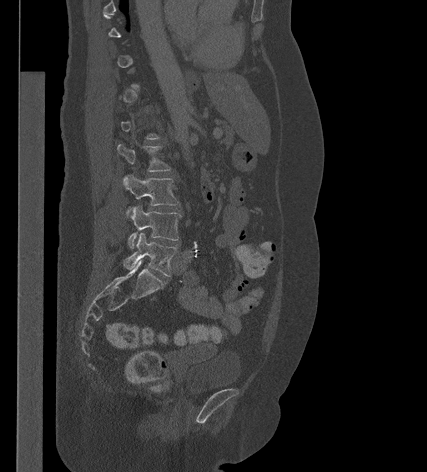

CT spine — sagittal view — bone-window reconstruction

Each vertebra maps to its box as [x1, y1, x2, y2], the pixel coordinates of its top-left and bottom-right corners.
A vertebra is boxed only from the first to the last slice where its cross-section is at least a third of its largest; slices outside that range leave it without a box.
{"vertebrae":{"L2":[117,143,171,171],"L3":[122,174,178,213],"L4":[127,205,181,248],"L5":[123,233,177,276]}}